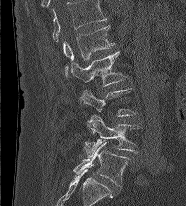

CT spine; sagittal view; the image is 186 mm wide; 186x206 px. Boxes: x1:y1:x2:y2 in pixels.
The highest labeled vertebra in this scan is L1; the lowest is L5.
Vertebra bounding boxes:
- L5: 73:141:130:185
- L4: 84:115:139:157
- L3: 79:88:135:116
- L2: 70:51:127:86
- L1: 63:25:114:75